CT. Sagittal slice 338/512. 512x780 px
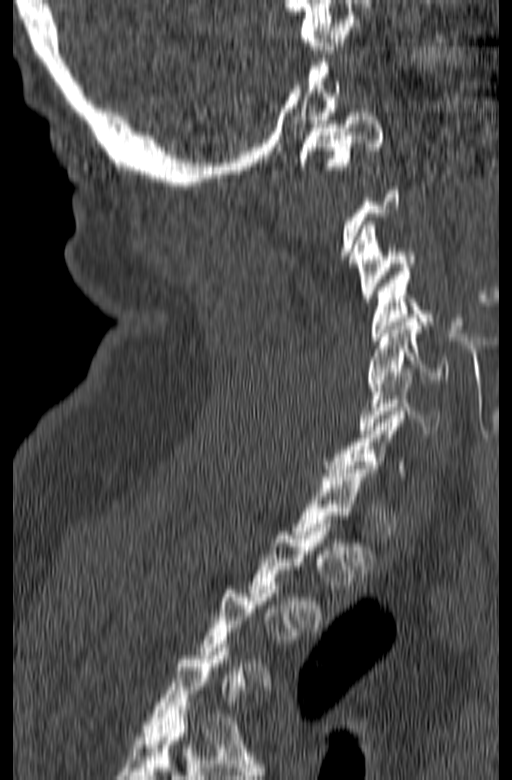 Boxes: x1 y1 x2 y2 (pixel coords, space-separated).
A vertebra is boxed only from the first to the last slice where its cross-section is at least a third of its largest; slices outside that range leave it without a box.
C6: 358 368 439 433
C5: 367 318 447 387
C4: 370 268 436 340
C3: 352 221 416 302
C1: 299 109 384 177